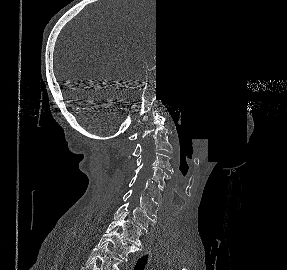
CT, spine. sagittal view. a region is blanked to uniform black, ending in a straight edge
Box edges are left/top/right/bottom in pixels.
| vertebra | x1 | y1 | x2 | y2 |
|---|---|---|---|---|
| C1 | 128 | 111 | 164 | 139 |
| C2 | 132 | 115 | 171 | 156 |
| C3 | 136 | 152 | 173 | 173 |
| C4 | 134 | 163 | 170 | 188 |
| C5 | 129 | 175 | 164 | 205 |
| C6 | 122 | 189 | 159 | 218 |
| C7 | 114 | 203 | 156 | 232 |
| T1 | 104 | 212 | 141 | 247 |
| T2 | 94 | 227 | 141 | 261 |